CT; sagittal plane, index 294; 512x263 px; 10 vertebrae labeled in this scan
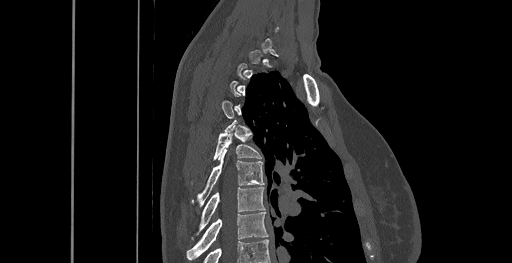 Each box given as x1,y1,x2,y2. A vertebra gets a box only on the slices from the first to the last where its cross-section is at least a third of its largest; on a slice outside that range it gets none. 4 vertebrae labeled — T8 at x1=187, y1=212, x2=268, y2=260; T7 at x1=198, y1=187, x2=264, y2=233; T6 at x1=192, y1=151, x2=264, y2=205; T5 at x1=192, y1=129, x2=261, y2=182.